Computed tomography of the spine · sagittal plane, index 98 · bone window
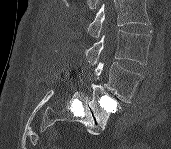
Boxes are (x1, y1, x2, y2) in pixels.
No box is given to a vertebra that the top edge of the scan cuts off.
L3: (86, 30, 151, 65)
L4: (95, 62, 142, 102)
L5: (88, 83, 121, 129)